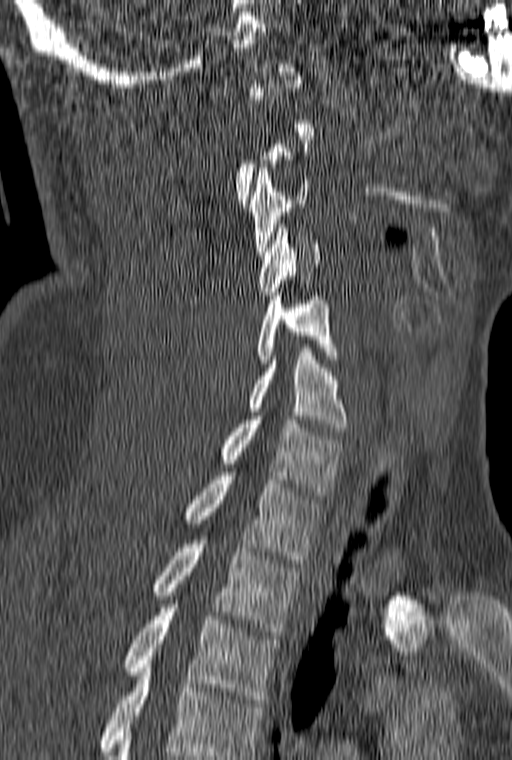
Spine computed tomography · the image is 160 mm wide · sagittal reformat · 512x760 px

Boxes are (x1, y1, x2, y2) in pixels. A vertebra is boxed only from the first to the last slice where its cross-section is at least a third of its largest; slices outside that range leave it without a box. Labels in this scan begin with C1 at the top and end with T3 at the bottom. 8 vertebrae labeled — C3 at (249, 168, 310, 255); C4 at (258, 224, 320, 295); C5 at (257, 292, 339, 363); C6 at (248, 348, 349, 431); C7 at (219, 416, 346, 495); T1 at (184, 472, 321, 563); T2 at (152, 540, 298, 635); T3 at (123, 604, 279, 703).